Spine CT. sagittal view. 576x488 px
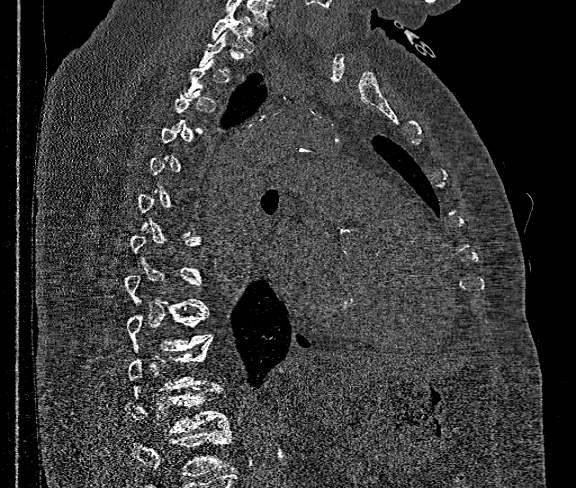

Bounding boxes as [x1, y1, x2, y2] in pixel coordinates.
Not every vertebra on this slice has a box: a vertebra is boxed only from the first to the last slice where its cross-section is at least a third of its largest, and this slice is outside that range for at least one of them.
A vertebra cut off by the bottom edge of the scan is not labeled and has no box.
T12: [126, 386, 230, 433]
T11: [128, 336, 215, 391]
T10: [126, 309, 210, 351]
T1: [211, 8, 254, 52]